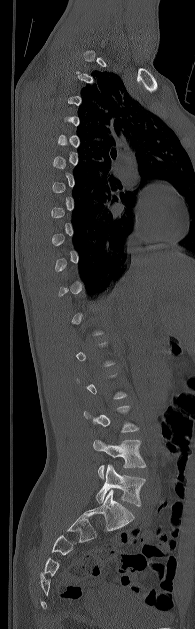 Computed tomography of the spine · sagittal reformat · image width 195 mm · W/L 1800/400 HU · 195x629 px
Columns x1, y1, x2, y2 give each box's top-left and bottom-right pixels.
Not every vertebra on this slice has a box: a vertebra is boxed only from the first to the last slice where its cross-section is at least a third of its largest, and this slice is outside that range for at least one of them.
| vertebra | x1 | y1 | x2 | y2 |
|---|---|---|---|---|
| L4 | 93 | 440 | 146 | 478 |
| L5 | 96 | 464 | 145 | 506 |